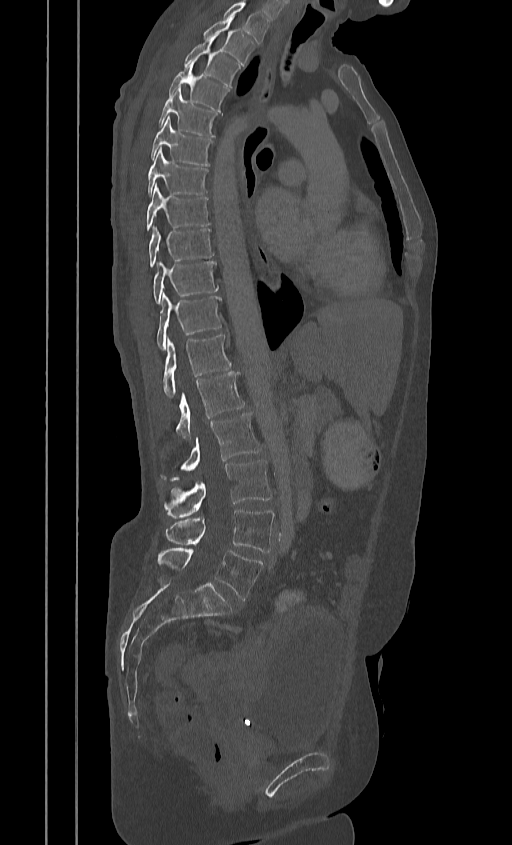
Spine CT — sagittal reformat — bone window — 512x845 px
Boxes are given in columns x1, y1, x2, y2, the pixel coordinates of their top-left and bottom-right corners.
The highest labeled vertebra in this scan is T2; the lowest is L5.
| vertebra | x1 | y1 | x2 | y2 |
|---|---|---|---|---|
| L5 | 157 | 548 | 263 | 600 |
| L4 | 165 | 509 | 275 | 552 |
| L3 | 164 | 460 | 271 | 518 |
| L2 | 161 | 413 | 261 | 479 |
| L1 | 176 | 372 | 244 | 439 |
| T12 | 162 | 335 | 231 | 398 |
| T11 | 157 | 292 | 221 | 350 |
| T10 | 153 | 261 | 217 | 303 |
| T9 | 148 | 225 | 213 | 267 |
| T8 | 146 | 184 | 209 | 230 |
| T7 | 146 | 148 | 208 | 195 |
| T6 | 150 | 116 | 212 | 166 |
| T5 | 158 | 88 | 217 | 136 |
| T4 | 169 | 60 | 228 | 111 |
| T3 | 184 | 37 | 239 | 87 |
| T2 | 204 | 17 | 252 | 66 |